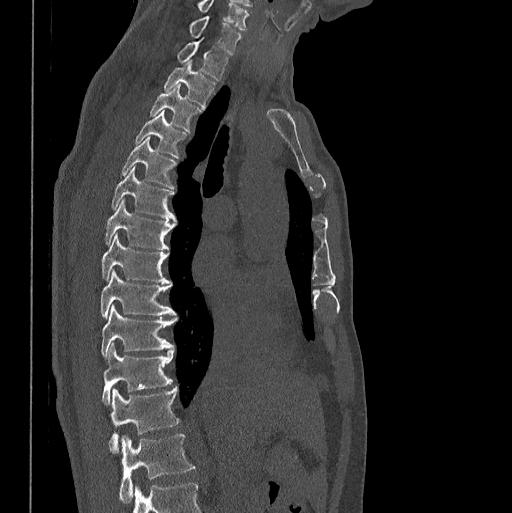

Spine CT. sagittal view. bone-window reconstruction. 512x513 px
The highest labeled vertebra in this scan is C7; the lowest is L1.
<vertebrae><v name="C7" x1="189" y1="16" x2="241" y2="53"/><v name="T1" x1="177" y1="39" x2="228" y2="80"/><v name="T2" x1="163" y1="61" x2="215" y2="107"/><v name="T3" x1="150" y1="85" x2="201" y2="131"/><v name="T4" x1="135" y1="110" x2="185" y2="156"/><v name="T5" x1="122" y1="138" x2="175" y2="188"/><v name="T6" x1="112" y1="167" x2="175" y2="221"/><v name="T7" x1="105" y1="199" x2="175" y2="249"/><v name="T8" x1="101" y1="234" x2="171" y2="283"/><v name="T9" x1="100" y1="270" x2="176" y2="317"/><v name="T10" x1="101" y1="304" x2="176" y2="358"/><v name="T11" x1="101" y1="344" x2="174" y2="404"/><v name="T12" x1="108" y1="387" x2="179" y2="453"/><v name="L1" x1="119" y1="434" x2="194" y2="503"/></vertebrae>